Spine computed tomography — sagittal plane, index 271 — 443 mm wide — W/L 1800/400 HU — 512x850 px
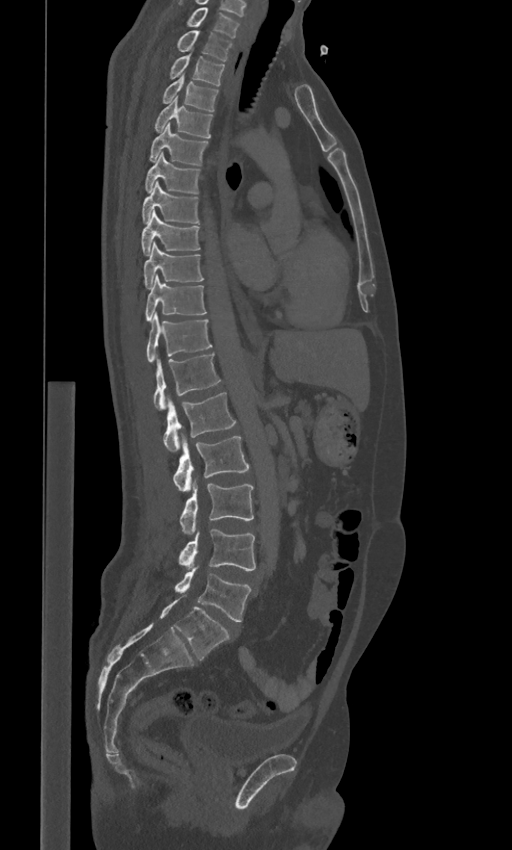

Each box given as x1,y1,x2,y2.
The labels name a sixth lumbar vertebra for this spine: L6, after L5.
L6: x1=159, y1=597, x2=229, y2=660
L5: x1=174, y1=567, x2=251, y2=621
L4: x1=179, y1=528, x2=255, y2=570
L3: x1=179, y1=481, x2=253, y2=535
L2: x1=173, y1=435, x2=249, y2=492
L1: x1=163, y1=392, x2=236, y2=453
T12: x1=154, y1=353, x2=221, y2=410
T11: x1=147, y1=313, x2=212, y2=362
T10: x1=146, y1=275, x2=206, y2=320
T9: x1=143, y1=242, x2=203, y2=288
T8: x1=141, y1=211, x2=199, y2=255
T7: x1=142, y1=182, x2=198, y2=223
T6: x1=146, y1=153, x2=199, y2=194
T5: x1=149, y1=123, x2=207, y2=164
T4: x1=155, y1=97, x2=212, y2=138
T3: x1=163, y1=76, x2=217, y2=111
T2: x1=170, y1=55, x2=224, y2=86
T1: x1=177, y1=30, x2=232, y2=60
C7: x1=187, y1=7, x2=239, y2=37